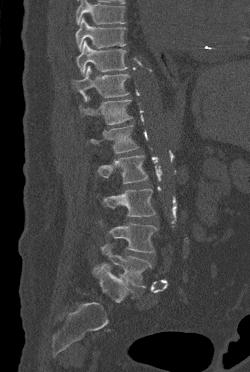 CT spine · sagittal view · 250x372 px · the image spans 250 mm across

Bounding boxes as [x1, y1, x2, y2] in pixel coordinates. Vertebrae that run past the top of the scan are left unlabeled. 9 vertebrae labeled — L5 at [93, 243, 151, 287]; L4 at [100, 221, 157, 253]; L3 at [103, 189, 155, 217]; L2 at [97, 155, 147, 183]; L1 at [90, 124, 138, 153]; T12 at [79, 96, 132, 124]; T11 at [72, 65, 129, 101]; T10 at [76, 40, 127, 76]; T9 at [75, 17, 126, 51].